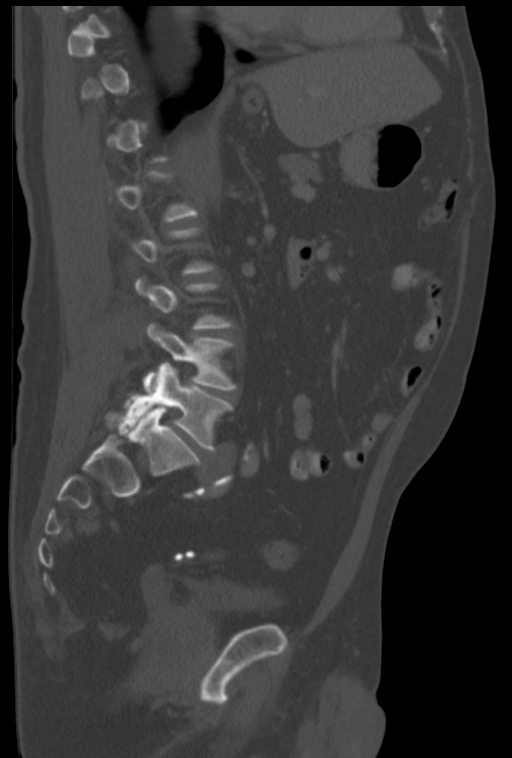
Spine computed tomography — sagittal view

Each box is [x1, y1, x2, y2] in pixels: top-left corner, then bottom-right corner.
A vertebra is boxed only from the first to the last slice where its cross-section is at least a third of its largest; slices outside that range leave it without a box.
{"vertebrae":{"L4":[143,323,236,390],"L5":[123,363,233,451]}}